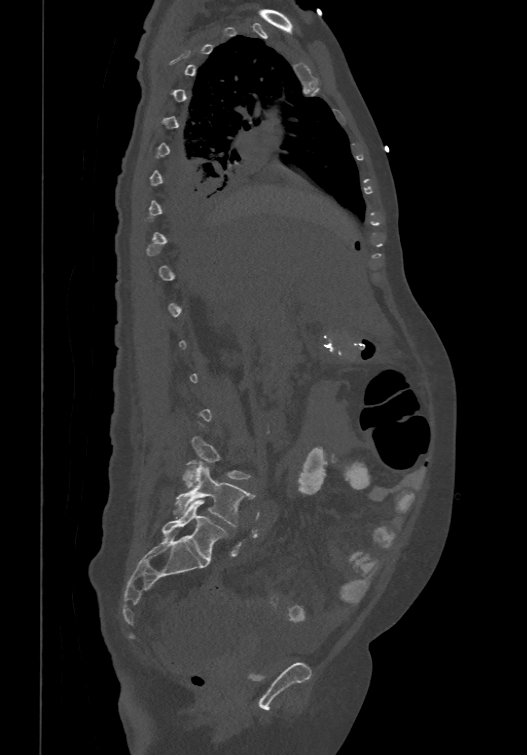

Spine computed tomography. sagittal view. 474 mm image width. Boxes are (x1, y1, x2, y2) in pixels.
Each vertebra is boxed only on the slices from the first to the last where its cross-section reaches a third of its largest, so a slice outside that range leaves it unboxed.
The labels name a sixth lumbar vertebra for this spine: L6, after L5.
Vertebra bounding boxes:
- L4: (183, 435, 251, 487)
- L5: (174, 462, 253, 526)
- L6: (161, 500, 226, 562)